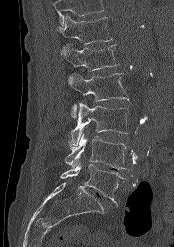

Spine CT — sagittal view — W/L 1800/400 HU — 174x247 px
Each box is [x1, y1, x2, y2] in pixels: top-left corner, then bottom-right corner.
A vertebra cut off by the top edge of the scan is not labeled and has no box.
{"vertebrae":{"T12":[57,14,112,55],"L1":[61,44,118,71],"L2":[68,73,128,118],"L3":[69,102,128,148],"L4":[64,133,128,169],"L5":[60,161,125,205]}}